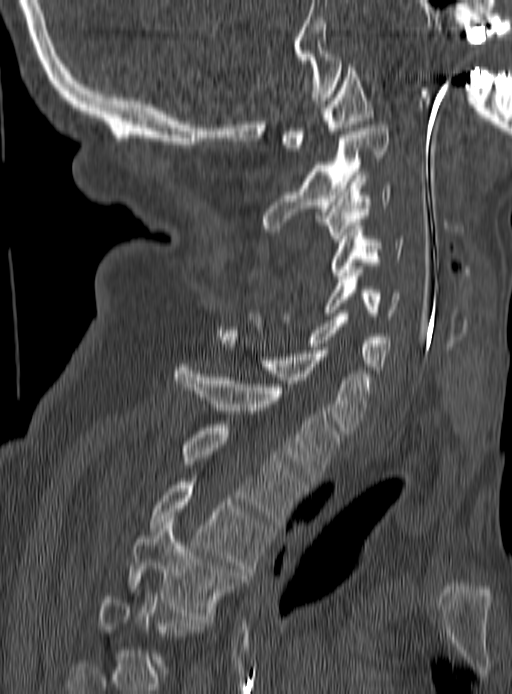
Computed tomography of the spine; sagittal view; 512x694 px
Boxes are (x1, y1, x2, y2) in pixels.
Not every vertebra on this slice has a box: a vertebra is boxed only from the first to the last slice where its cross-section is at least a third of its largest, and this slice is outside that range for at least one of them.
T4: (128, 519, 242, 619)
T3: (149, 478, 269, 575)
T2: (181, 424, 304, 524)
T1: (173, 364, 339, 484)
C7: (218, 333, 374, 434)
C6: (247, 310, 391, 373)
C5: (324, 269, 400, 319)
C4: (330, 226, 405, 279)
C3: (319, 175, 392, 242)
C2: (262, 125, 388, 231)
C1: (281, 64, 373, 151)